Spine CT · sagittal reformat · bone window · 523x792 px · scan covers 18 annotated vertebrae
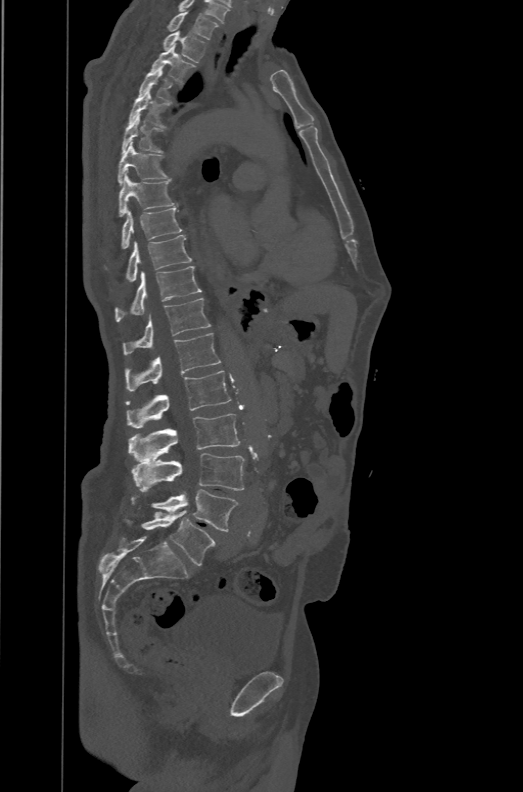
Each row gives a vertebra's box as x1, y1, x2, y2 in pixels: top-left corner, then bottom-right corner.
The labels name a sixth lumbar vertebra for this spine: L6, after L5.
| vertebra | x1 | y1 | x2 | y2 |
|---|---|---|---|---|
| T1 | 167 | 11 | 219 | 40 |
| T2 | 163 | 31 | 206 | 62 |
| T3 | 150 | 44 | 195 | 82 |
| T4 | 138 | 67 | 174 | 102 |
| T5 | 128 | 90 | 169 | 127 |
| T6 | 121 | 115 | 165 | 154 |
| T7 | 118 | 142 | 168 | 184 |
| T8 | 118 | 172 | 178 | 217 |
| T9 | 121 | 208 | 182 | 249 |
| T10 | 126 | 234 | 191 | 282 |
| T11 | 114 | 266 | 201 | 322 |
| T12 | 123 | 298 | 210 | 355 |
| L1 | 125 | 333 | 221 | 391 |
| L2 | 125 | 371 | 230 | 428 |
| L3 | 129 | 413 | 240 | 461 |
| L4 | 131 | 453 | 244 | 490 |
| L5 | 131 | 489 | 239 | 531 |
| L6 | 141 | 511 | 215 | 565 |